CT, spine. sagittal reformat. bone-window reconstruction. 512x263 px
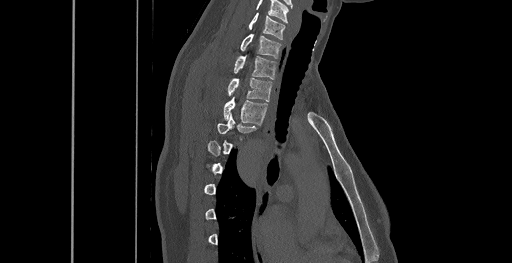
Not every vertebra on this slice has a box: a vertebra is boxed only from the first to the last slice where its cross-section is at least a third of its largest, and this slice is outside that range for at least one of them.
In this scan, the topmost labeled vertebra is C6 and the lowest is T8.
<vertebrae><v name="C6" x1="249" y1="13" x2="285" y2="39"/><v name="C7" x1="240" y1="34" x2="281" y2="58"/><v name="T1" x1="234" y1="55" x2="276" y2="79"/><v name="T2" x1="227" y1="77" x2="272" y2="101"/><v name="T3" x1="224" y1="97" x2="268" y2="123"/><v name="T4" x1="217" y1="114" x2="258" y2="133"/></vertebrae>